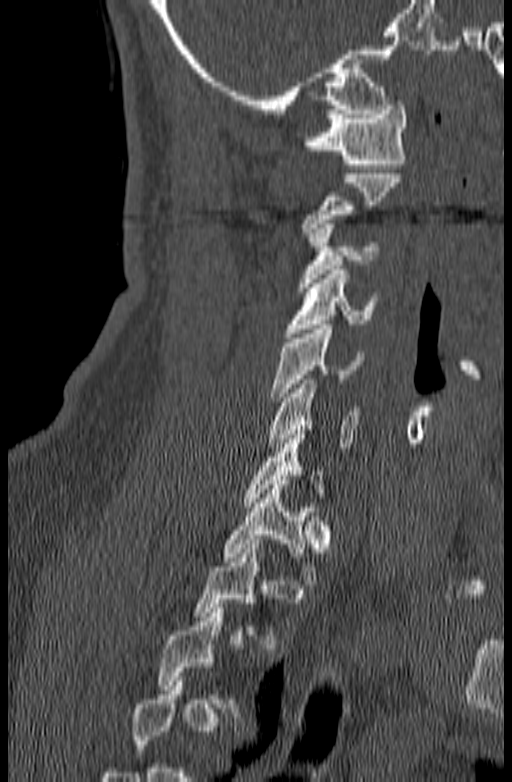

Spine computed tomography — sagittal reformat — the image is 140 mm wide — W/L 1800/400 HU
Box edges are left/top/right/bottom in pixels. A vertebra is boxed only from the first to the last slice where its cross-section is at least a third of its largest; slices outside that range leave it without a box. 7 vertebrae labeled — T1 at left=221, top=480, right=328, bottom=584; C6 at left=268, top=379, right=359, bottom=452; C5 at left=271, top=325, right=363, bottom=401; C4 at left=284, top=270, right=380, bottom=337; C3 at left=298, top=224, right=378, bottom=292; C2 at left=300, top=169, right=401, bottom=232; C1 at left=303, top=101, right=407, bottom=168.